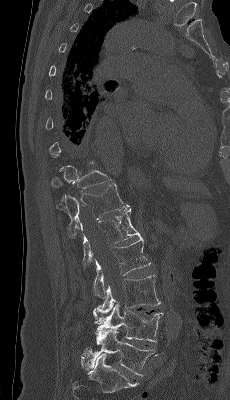

Spine CT · sagittal view · bone window · image width 230 mm
Boxes are (x1, y1, x2, y2) in pixels.
T11: (52, 161, 113, 192)
T12: (56, 183, 129, 237)
L1: (79, 207, 141, 266)
L2: (93, 237, 151, 297)
L3: (96, 275, 160, 313)
L4: (92, 302, 163, 342)
L5: (84, 329, 155, 376)